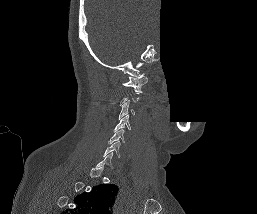 Computed tomography of the spine · sagittal reformat · a portion of the image is blanked out (constant pixel value)
Boxes are given in columns x1, y1, x2, y2, the pixel coordinates of their top-left and bottom-right corners.
Not every vertebra on this slice has a box: a vertebra is boxed only from the first to the last slice where its cross-section is at least a third of its largest, and this slice is outside that range for at least one of them.
| vertebra | x1 | y1 | x2 | y2 |
|---|---|---|---|---|
| C1 | 122 | 73 | 147 | 91 |
| C3 | 119 | 102 | 135 | 119 |
| C4 | 114 | 114 | 131 | 131 |
| C5 | 108 | 129 | 125 | 143 |
| C6 | 103 | 141 | 120 | 157 |